Spine CT · sagittal view · image width 350 mm · scan covers 18 annotated vertebrae
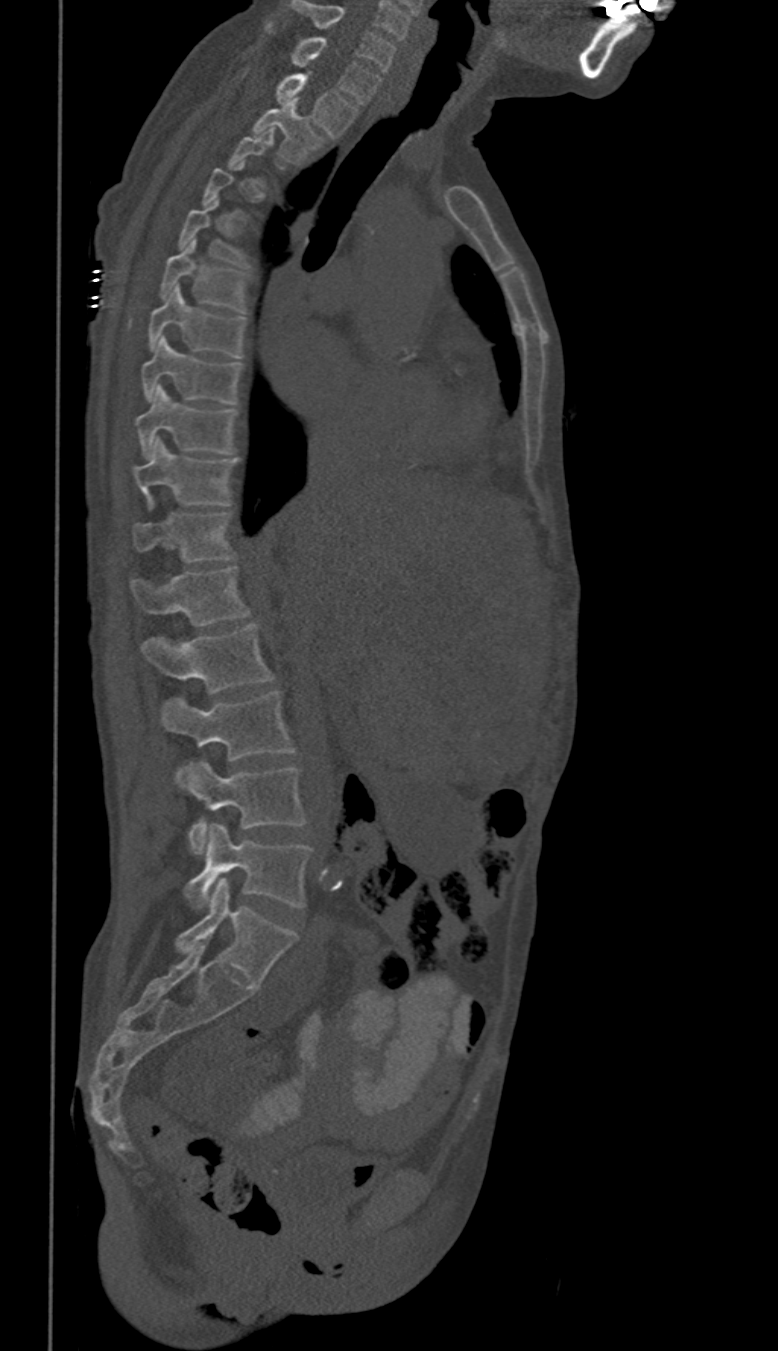 Coordinates as <box>x1,y1,x2,y2</box>. A vertebra is boxed only from the first to the last slice where its cross-section is at least a third of its largest; slices outside that range leave it without a box. In these labels the thoracic vertebrae end at T11, so L1 follows T11. 15 vertebrae labeled — L5 at <box>187,823,312,908</box>; L4 at <box>182,760,306,853</box>; L3 at <box>163,692,294,779</box>; L2 at <box>141,623,272,693</box>; L1 at <box>131,567,248,626</box>; T11 at <box>134,514,231,562</box>; T10 at <box>134,438,236,504</box>; T9 at <box>135,387,236,457</box>; T8 at <box>141,336,241,404</box>; T7 at <box>149,285,245,357</box>; T6 at <box>163,240,245,311</box>; T2 at <box>254,100,321,162</box>; T1 at <box>278,74,356,137</box>; C7 at <box>293,36,380,104</box>; C6 at <box>293,1,394,71</box>.